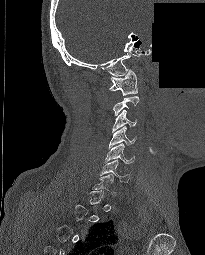
Spine computed tomography — sagittal reformat — 205 mm across the image — part of the image has been replaced by a constant value

Each box given as x1,y1,x2,y2. Each vertebra is boxed only on the slices from the first to the last where its cross-section reaches a third of its largest, so a slice outside that range leaves it unboxed. The labeled vertebrae in this slice are: C1 at x1=109, y1=70, x2=137, y2=95, C3 at x1=111, y1=109, x2=136, y2=132, C4 at x1=109, y1=126, x2=136, y2=148, C5 at x1=105, y1=143, x2=134, y2=163, C6 at x1=100, y1=159, x2=130, y2=182.